Computed tomography of the spine · sagittal view · 512x659 px · scan covers 10 annotated vertebrae
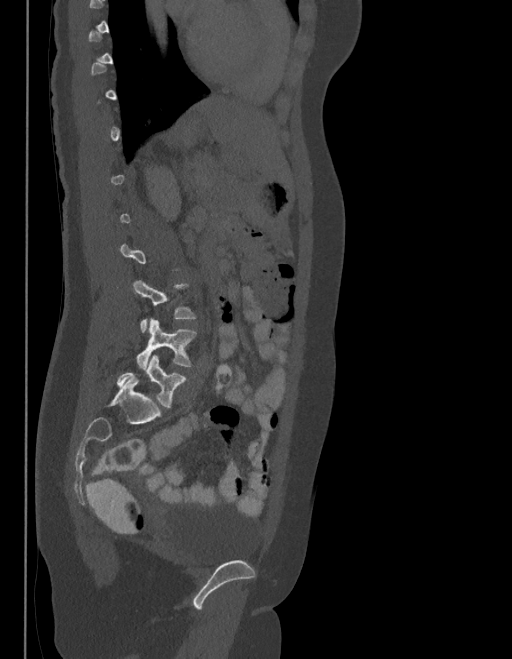 Box edges are left/top/right/bottom in pixels.
A vertebra is boxed only from the first to the last slice where its cross-section is at least a third of its largest; slices outside that range leave it without a box.
These labels give the spine a sixth lumbar vertebra, L6, below L5.
L6: left=117, top=356, right=186, bottom=407
L5: left=136, top=319, right=196, bottom=369
L4: left=133, top=280, right=196, bottom=332